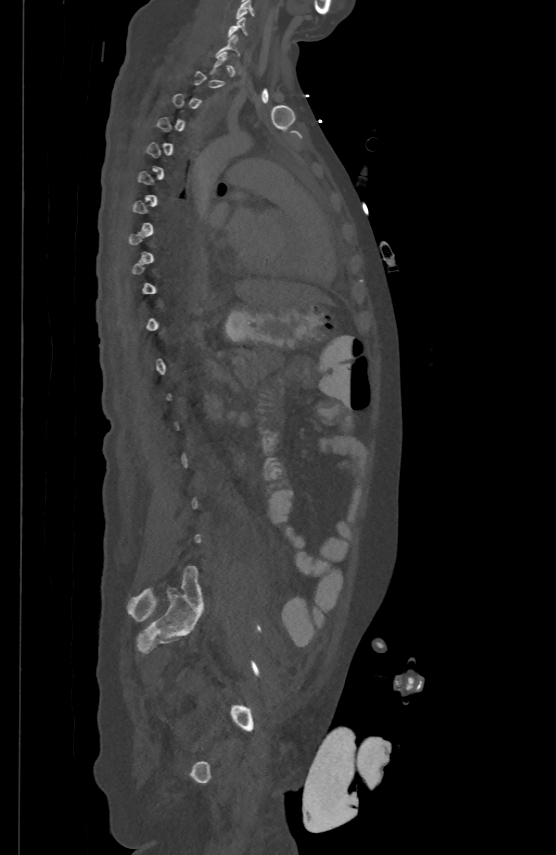 CT spine · sagittal view. Bounding boxes as [x1, y1, x2, y2] in pixel coordinates. Each vertebra is boxed only on the slices from the first to the last where its cross-section reaches a third of its largest, so a slice outside that range leaves it unboxed. 2 vertebrae labeled — C5 at [237, 0, 255, 18]; C6 at [228, 16, 246, 35].